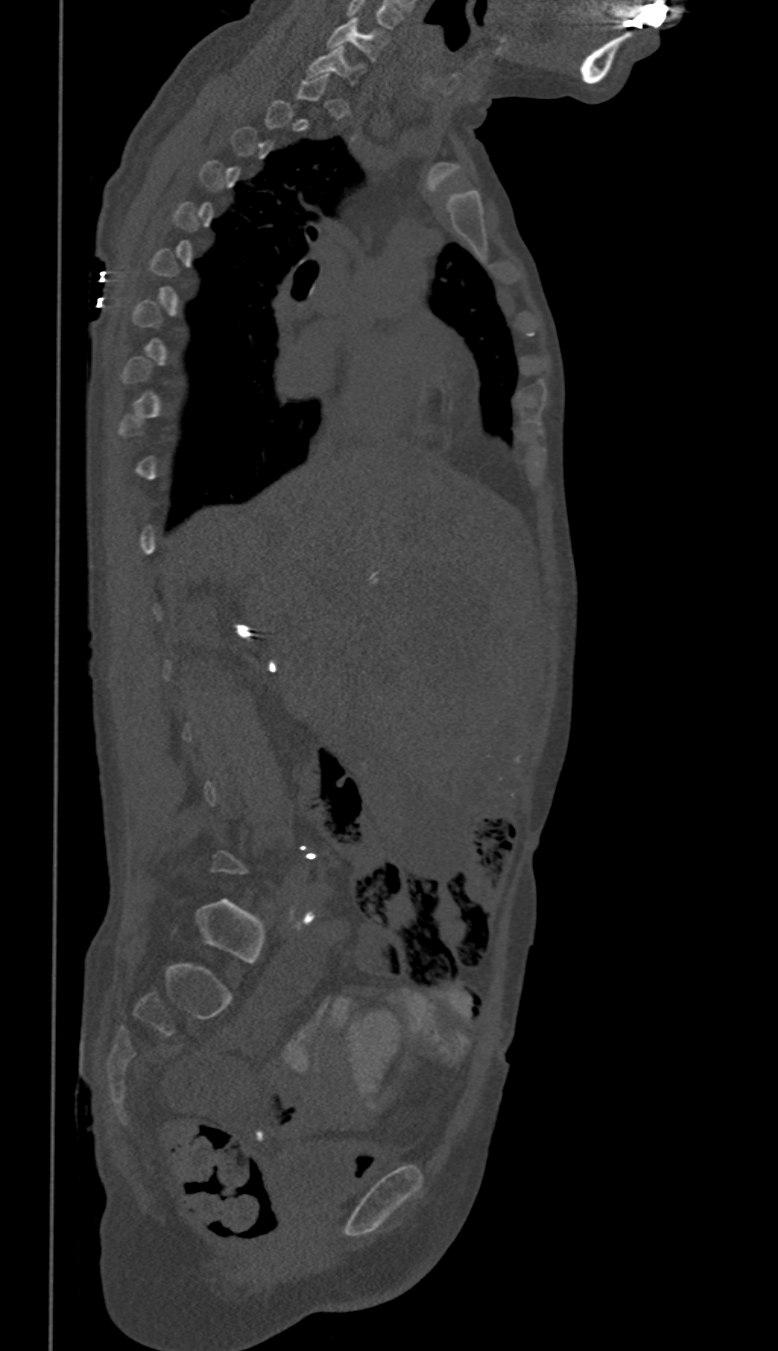
Spine computed tomography — sagittal reformat
Box edges are left/top/right/bottom in pixels. A vertebra is boxed only from the first to the last slice where its cross-section is at least a third of its largest; slices outside that range leave it without a box. 2 vertebrae labeled — C7 at left=308, top=46, right=361, bottom=77; C6 at left=327, top=17, right=388, bottom=62.